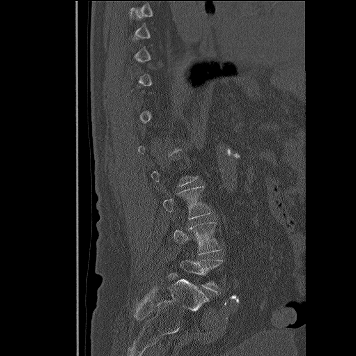
CT, spine. 356 mm image width. sagittal view. bone window. Bounding boxes as [x1, y1, x2, y2] in pixel coordinates. Each vertebra is boxed only on the slices from the first to the last where its cross-section reaches a third of its largest, so a slice outside that range leaves it unboxed. Vertebrae labeled: L3 at [163, 186, 211, 219], L4 at [172, 222, 220, 254], L5 at [180, 260, 221, 290].